Spine computed tomography. 369 mm image width. Sagittal slice 152/369. 369x669 px
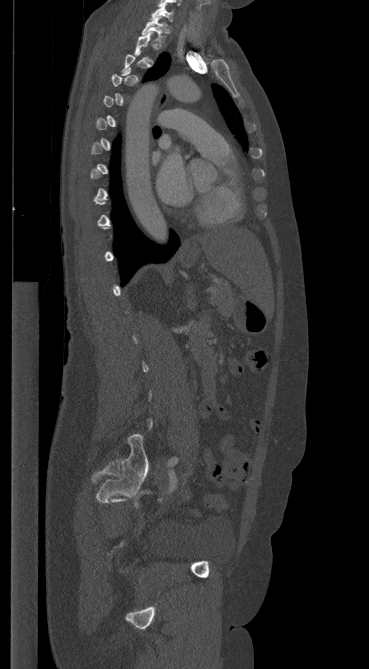 A vertebra is boxed only from the first to the last slice where its cross-section is at least a third of its largest; slices outside that range leave it without a box.
<vertebrae><v name="C7" x1="151" y1="4" x2="173" y2="21"/><v name="T1" x1="142" y1="18" x2="167" y2="43"/></vertebrae>